Spine computed tomography; sagittal view; bone-window reconstruction; some of the image was removed or blocked out with constant pixels
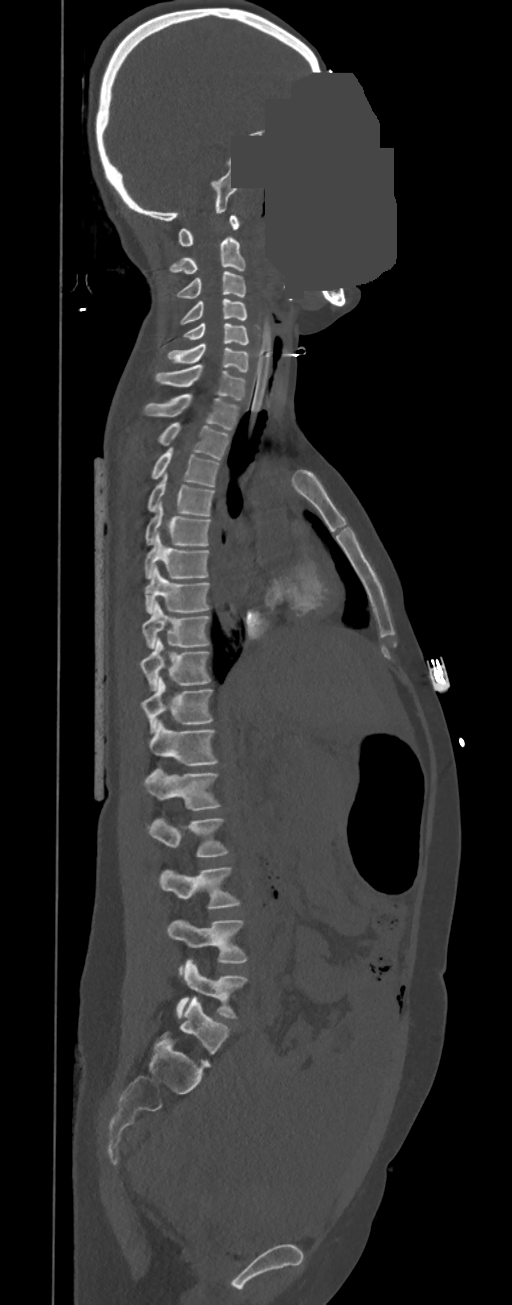 Each box is [x1, y1, x2, y2] in pixels: top-left corner, then bottom-right corner.
In these labels the spine has no T12: the thoracic vertebrae end at T11, and L1 comes next.
{"vertebrae":{"C1":[178,215,240,245],"C2":[169,236,245,273],"C3":[177,271,246,299],"C4":[179,299,247,324],"C5":[183,323,249,344],"C6":[167,344,249,372],"C7":[155,365,246,401],"T1":[143,394,238,430],"T2":[156,423,228,460],"T3":[150,448,220,486],"T4":[147,474,215,516],"T5":[145,500,211,545],"T6":[143,532,209,578],"T7":[145,566,211,614],"T8":[143,602,211,648],"T9":[140,637,211,690],"T10":[142,677,214,732],"T11":[149,720,218,765],"L1":[143,766,221,810],"L2":[149,818,228,856],"L3":[159,868,240,909],"L4":[167,919,247,976],"L5":[176,960,247,1018]}}